CT spine · sagittal plane, index 273
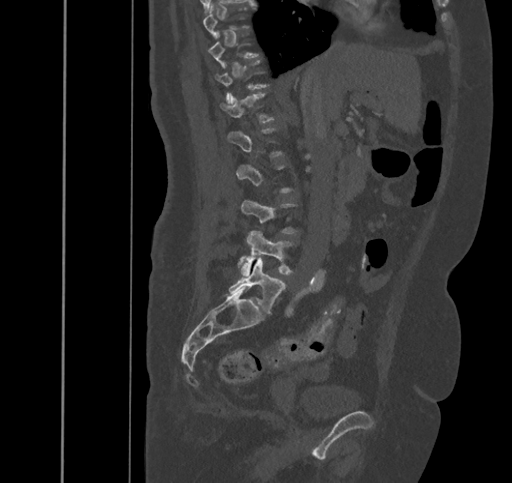 Each box given as x1,y1,x2,y2.
Not every vertebra on this slice has a box: a vertebra is boxed only from the first to the last slice where its cross-section is at least a third of its largest, and this slice is outside that range for at least one of them.
Vertebra bounding boxes:
- L5: x1=229, y1=256, x2=285, y2=313
- L4: x1=241, y1=231, x2=292, y2=275
- T12: x1=219, y1=92, x2=274, y2=122